Spine CT — Sagittal slice 255/512 — bone-window reconstruction — 512x506 px
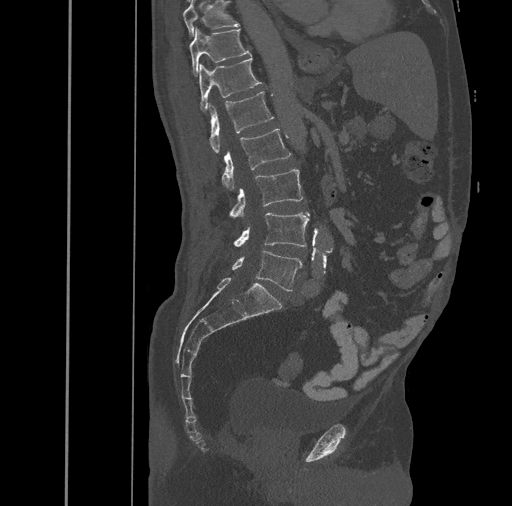
Each box given as x1,y1,x2,y2.
| vertebra | x1 | y1 | x2 | y2 |
|---|---|---|---|---|
| T10 | 183 | 0 | 239 | 35 |
| T11 | 189 | 27 | 251 | 76 |
| T12 | 199 | 57 | 262 | 111 |
| L1 | 209 | 92 | 274 | 153 |
| L2 | 222 | 128 | 290 | 190 |
| L3 | 228 | 168 | 303 | 216 |
| L4 | 233 | 212 | 309 | 246 |
| L5 | 232 | 251 | 302 | 291 |